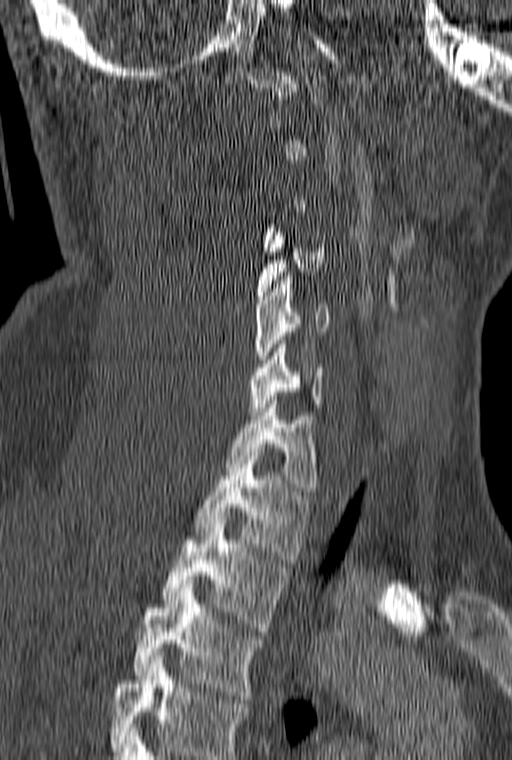 CT, spine · sagittal view · 512x760 px · the image spans 160 mm across
Boxes below are [x1, y1, x2, y2] in pixels.
Each vertebra is boxed only on the slices from the first to the last where its cross-section reaches a third of its largest, so a slice outside that range leaves it unboxed.
The highest labeled vertebra in this scan is C1; the lowest is T3.
{"vertebrae":{"C4":[257,228,324,303],"C5":[254,272,329,367],"C6":[249,340,324,419],"C7":[226,400,317,495],"T1":[193,452,310,559],"T2":[161,520,288,631],"T3":[132,588,263,703]}}